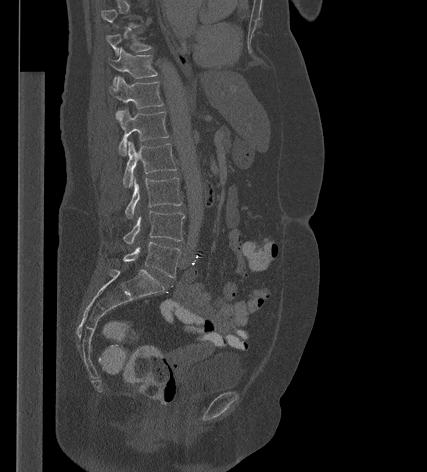

Computed tomography of the spine — sagittal view — 427x472 px — 427 mm across the image

Box edges are left/top/right/bottom in pixels.
Not every vertebra on this slice has a box: a vertebra is boxed only from the first to the last slice where its cross-section is at least a third of its largest, and this slice is outside that range for at least one of them.
Vertebra bounding boxes:
- T10: left=106, top=31, right=151, bottom=55
- T11: left=110, top=48, right=157, bottom=84
- T12: left=110, top=76, right=163, bottom=119
- L1: left=118, top=109, right=168, bottom=155
- L2: left=122, top=141, right=177, bottom=187
- L3: left=125, top=178, right=181, bottom=218
- L4: left=123, top=211, right=184, bottom=244
- L5: left=123, top=241, right=180, bottom=277